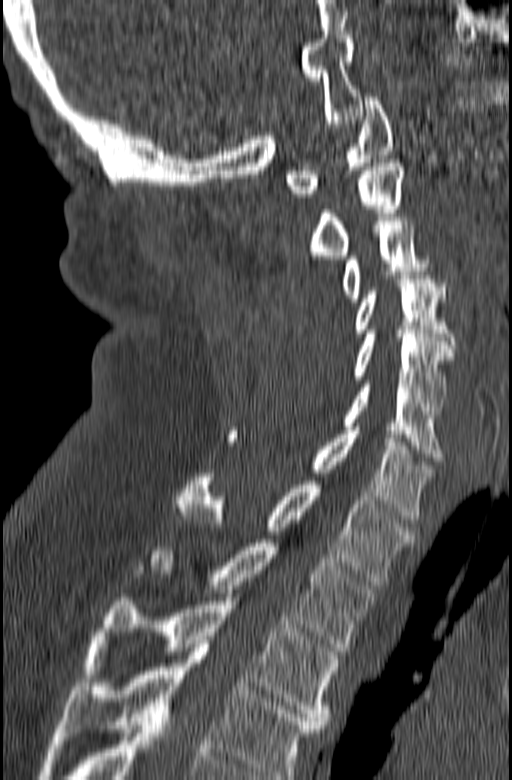
Computed tomography of the spine; sagittal view; Bone window (WL 400, WW 1800); 512x780 px

This scan's labels start at C1 at the top and end at T3 at the bottom.
<vertebrae><v name="C1" x1="286" y1="97" x2="394" y2="197"/><v name="C2" x1="311" y1="163" x2="404" y2="259"/><v name="C3" x1="342" y1="217" x2="449" y2="302"/><v name="C4" x1="355" y1="279" x2="455" y2="356"/><v name="C5" x1="353" y1="330" x2="452" y2="414"/><v name="C6" x1="342" y1="380" x2="441" y2="461"/><v name="C7" x1="229" y1="427" x2="434" y2="523"/><v name="T1" x1="175" y1="473" x2="416" y2="585"/><v name="T2" x1="136" y1="539" x2="376" y2="651"/><v name="T3" x1="83" y1="593" x2="338" y2="728"/></vertebrae>